Spine CT · sagittal plane, index 228
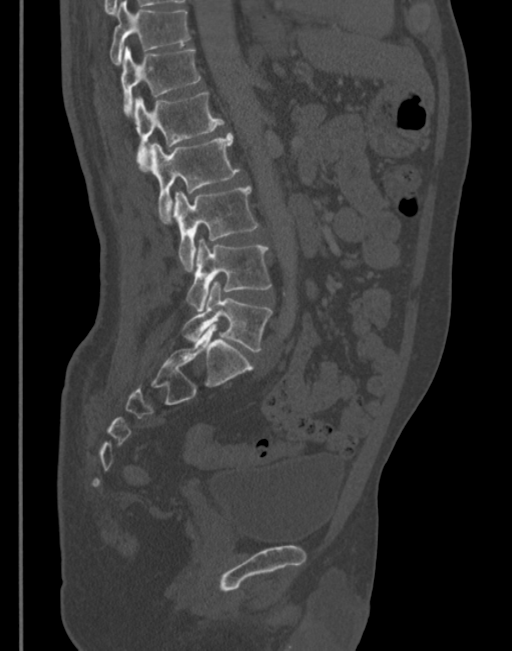

Boxes are (x1, y1, x2, y2) in pixels.
Vertebra bounding boxes:
- T11: (110, 2, 190, 65)
- T12: (120, 45, 201, 115)
- L1: (132, 91, 223, 169)
- L2: (147, 133, 239, 220)
- L3: (172, 186, 258, 270)
- L4: (187, 239, 270, 311)
- L5: (182, 281, 272, 352)